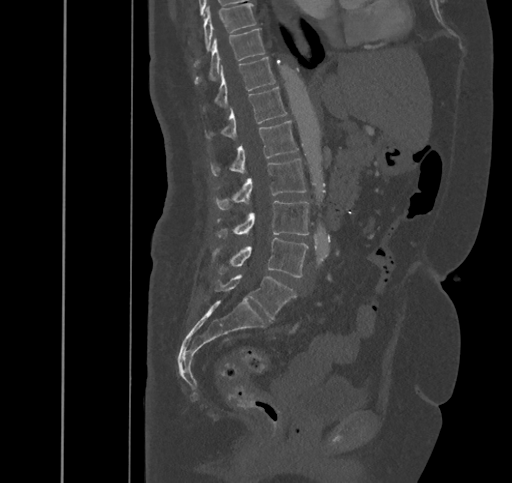 CT, spine — sagittal view — bone window
Boxes are given in columns x1, y1, x2, y2, the pixel coordinates of their top-left and bottom-right corners.
| vertebra | x1 | y1 | x2 | y2 |
|---|---|---|---|---|
| L5 | 215 | 274 | 296 | 319 |
| L4 | 212 | 237 | 308 | 277 |
| L3 | 215 | 201 | 308 | 239 |
| L2 | 214 | 158 | 306 | 210 |
| L1 | 210 | 121 | 298 | 177 |
| T12 | 205 | 87 | 287 | 140 |
| T11 | 200 | 57 | 275 | 110 |
| T10 | 194 | 28 | 265 | 85 |
| T9 | 194 | 3 | 255 | 66 |